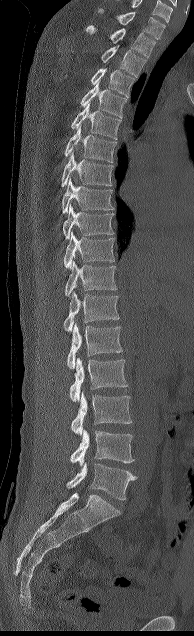 CT — sagittal view — 194x636 px — 194 mm image width. Boxes: x1:y1:x2:y2 in pixels.
Vertebra bounding boxes:
- L5: 67:462:137:500
- L4: 70:429:134:466
- L3: 71:392:132:436
- L2: 69:358:128:402
- L1: 67:323:122:368
- T12: 63:291:119:331
- T11: 65:260:117:296
- T10: 63:231:114:268
- T9: 62:204:114:239
- T8: 61:178:114:213
- T7: 61:151:114:187
- T6: 64:125:116:162
- T5: 71:103:120:139
- T4: 80:83:126:117
- T3: 91:67:134:96
- T2: 101:45:145:77
- T1: 86:25:155:57
- C7: 98:9:165:39